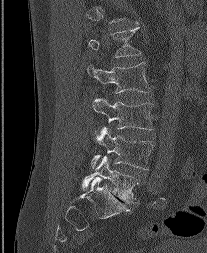 CT — 207 mm wide — sagittal view
Boxes are (x1, y1, x2, y2) in pixels.
In this scan, the topmost labeled vertebra is L1 and the lowest is L5.
Vertebra bounding boxes:
- L5: (82, 156, 138, 203)
- L4: (90, 127, 153, 169)
- L3: (92, 97, 153, 129)
- L2: (87, 63, 150, 92)
- L1: (89, 28, 141, 57)